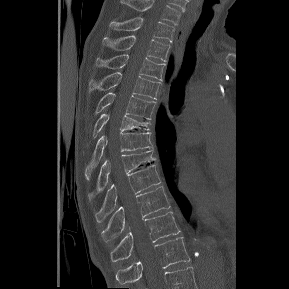 CT — sagittal view — bone window. Bounding boxes as [x1, y1, x2, y2] in pixel coordinates.
This scan's labels start at T1 at the top and end at T12 at the bottom.
T1: [109, 17, 174, 41]
T2: [103, 35, 170, 61]
T3: [96, 54, 165, 80]
T4: [89, 72, 161, 99]
T5: [96, 92, 156, 119]
T6: [93, 114, 149, 137]
T7: [85, 132, 152, 180]
T8: [89, 150, 157, 199]
T9: [95, 164, 161, 222]
T10: [101, 186, 170, 243]
T11: [110, 211, 180, 262]
T12: [115, 237, 190, 284]